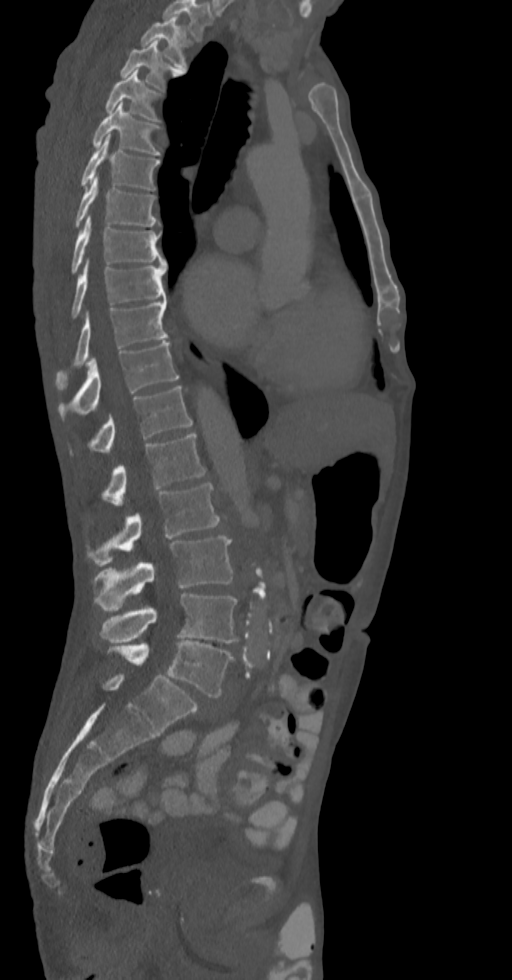
Spine computed tomography · the image spans 336 mm across · sagittal view · W/L 1800/400 HU
Boxes: x1:y1:x2:y2 in pixels.
In this scan, the topmost labeled vertebra is T2 and the lowest is L5.
Vertebra bounding boxes:
- L5: 108:640:233:697
- L4: 100:593:239:642
- L3: 93:536:232:610
- L2: 87:483:220:566
- L1: 102:433:206:505
- T12: 70:386:192:455
- T11: 58:341:179:420
- T10: 56:299:168:383
- T9: 71:259:166:319
- T8: 71:216:166:273
- T7: 74:177:159:226
- T6: 80:136:160:189
- T5: 93:102:160:154
- T4: 105:70:160:121
- T3: 120:40:182:90
- T2: 141:17:191:69